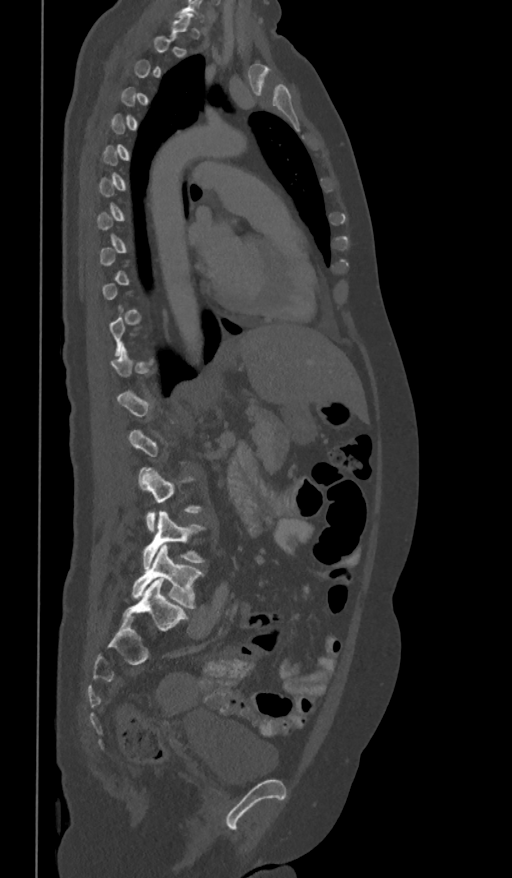

Spine CT; sagittal view; bone-window reconstruction

Each box is [x1, y1, x2, y2] in pixels: top-left corner, then bottom-right corner.
A vertebra gets a box only on the slices from the first to the last where its cross-section is at least a third of its largest; on a slice outside that range it gets none.
{"vertebrae":{"L3":[139,467,202,531],"L4":[143,511,204,568],"L5":[132,545,203,608]}}